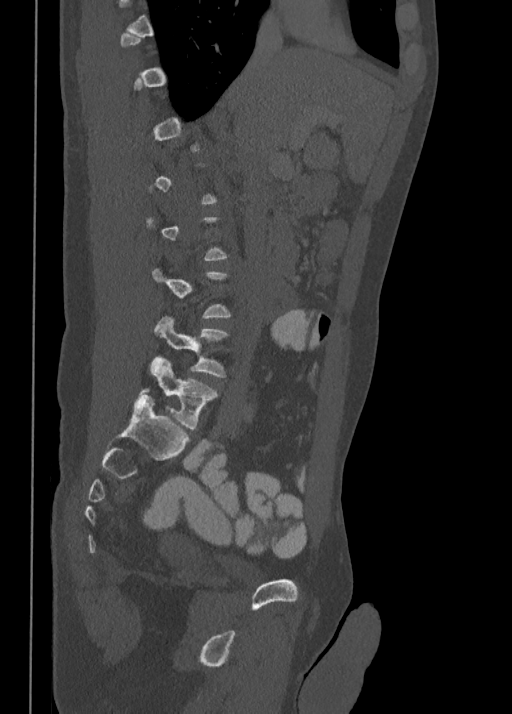
Spine computed tomography — sagittal view — Bone window (WL 400, WW 1800) — 512x714 px

Coordinates as <box>x1,y1,x2,y2</box>. A vertebra gets a box only on the slices from the first to the last where its cross-section is at least a third of its largest; on a slice outside that range it gets none. Vertebrae labeled: L4 at <box>153,316,229,376</box>, L5 at <box>140,357,217,428</box>.